Computed tomography of the spine — sagittal reformat — scan covers 17 annotated vertebrae
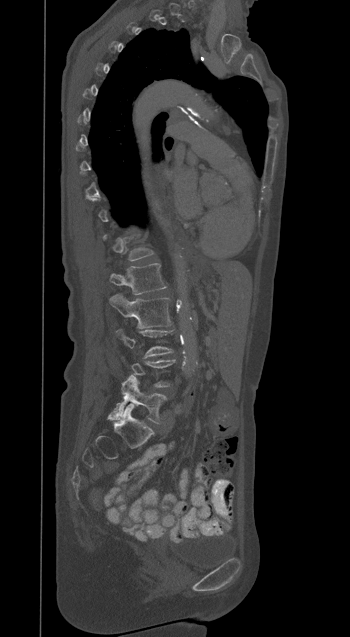
A vertebra is boxed only from the first to the last slice where its cross-section is at least a third of its largest; slices outside that range leave it without a box.
<vertebrae><v name="L5" x1="108" y1="376" x2="166" y2="423"/><v name="L3" x1="116" y1="329" x2="173" y2="356"/><v name="L2" x1="109" y1="293" x2="171" y2="328"/><v name="L1" x1="109" y1="263" x2="166" y2="294"/></vertebrae>